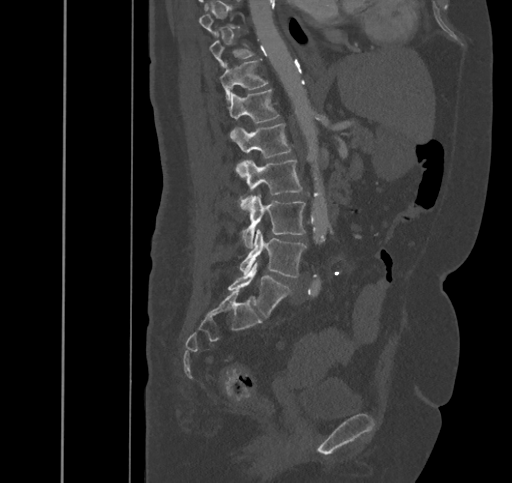 CT spine; sagittal view
Each box given as x1,y1,x2,y2.
A vertebra is boxed only from the first to the last slice where its cross-section is at least a third of its largest; slices outside that range leave it without a box.
| vertebra | x1 | y1 | x2 | y2 |
|---|---|---|---|---|
| T11 | 220 | 59 | 268 | 102 |
| T12 | 228 | 89 | 279 | 122 |
| L1 | 230 | 123 | 291 | 177 |
| L2 | 240 | 159 | 302 | 210 |
| L3 | 242 | 195 | 305 | 249 |
| L4 | 240 | 230 | 306 | 277 |
| L5 | 227 | 262 | 290 | 317 |